Computed tomography of the spine · sagittal view · bone window · 512x943 px · scan covers 11 annotated vertebrae
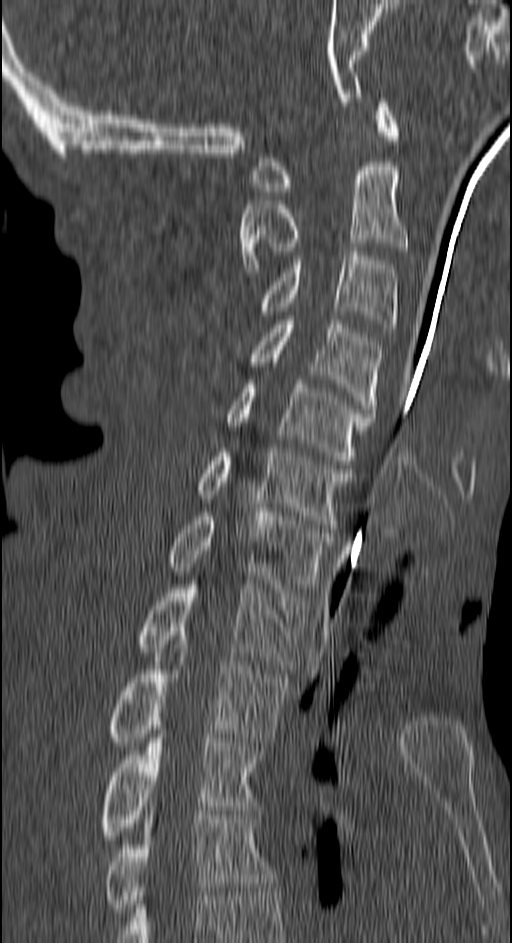
<vertebrae><v name="C1" x1="253" y1="98" x2="400" y2="195"/><v name="C2" x1="240" y1="166" x2="406" y2="272"/><v name="C3" x1="257" y1="252" x2="396" y2="328"/><v name="C4" x1="250" y1="320" x2="383" y2="413"/><v name="C5" x1="226" y1="380" x2="374" y2="464"/><v name="C6" x1="199" y1="448" x2="352" y2="528"/><v name="C7" x1="168" y1="508" x2="331" y2="592"/><v name="T1" x1="138" y1="580" x2="305" y2="669"/><v name="T2" x1="107" y1="649" x2="287" y2="746"/><v name="T3" x1="100" y1="734" x2="260" y2="840"/><v name="T4" x1="104" y1="815" x2="277" y2="916"/></vertebrae>